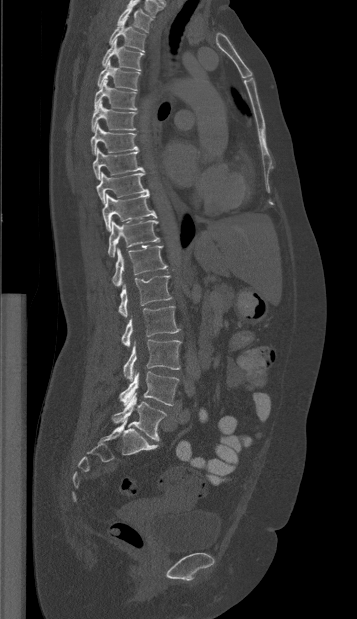 CT spine; sagittal view; the image spans 357 mm across. Boxes: x1 y1 x2 y2 (pixel coords, space-separated).
T1: 117 3 152 32
T2: 109 19 145 52
T3: 102 39 143 70
T4: 97 60 140 90
T5: 94 78 136 109
T6: 91 100 136 131
T7: 90 124 137 154
T8: 93 148 144 179
T9: 96 172 148 203
T10: 102 193 157 231
T11: 108 220 159 256
T12: 112 245 168 286
L1: 118 276 171 317
L2: 121 306 179 347
L3: 123 339 180 380
L4: 119 371 178 405
L5: 112 393 166 440